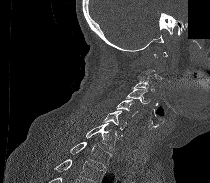
CT spine; sagittal view; an area of the scan was removed and filled with constant pixels
Each row gives a vertebra's box as x1, y1, x2, y2 in pixels: top-left corner, then bottom-right corner.
Not every vertebra on this slice has a box: a vertebra is boxed only from the first to the last slice where its cross-section is at least a third of its largest, and this slice is outside that range for at least one of them.
A vertebra cut off by the bottom edge of the scan is not labeled and has no box.
| vertebra | x1 | y1 | x2 | y2 |
|---|---|---|---|---|
| T1 | 70 | 142 | 112 | 168 |
| C7 | 86 | 123 | 122 | 150 |
| C6 | 102 | 110 | 126 | 135 |
| C5 | 116 | 99 | 137 | 116 |
| C4 | 126 | 87 | 151 | 103 |
| C3 | 135 | 71 | 155 | 91 |